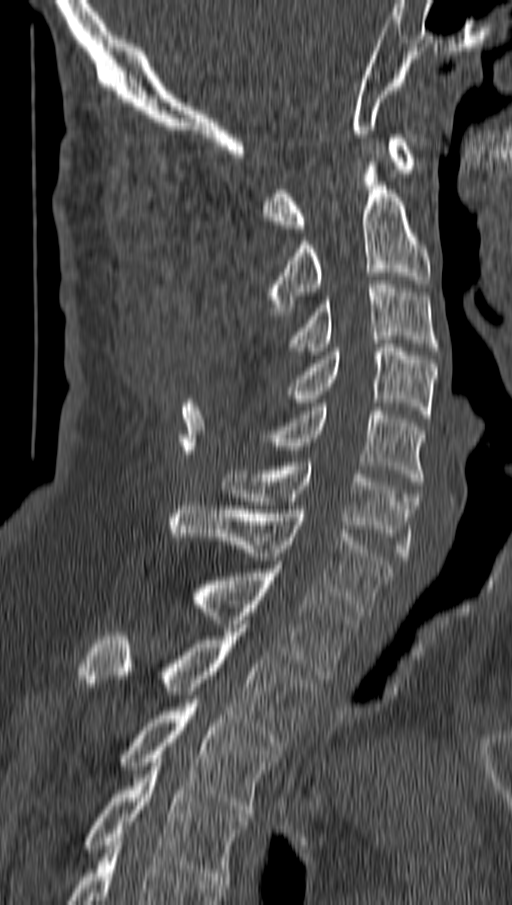
CT; sagittal reformat; bone window
Boxes are given in columns x1, y1, x2, y2, the pixel coordinates of their top-left and bottom-right corners.
| vertebra | x1 | y1 | x2 | y2 |
|---|---|---|---|---|
| C1 | 263 | 134 | 415 | 232 |
| C2 | 267 | 158 | 430 | 315 |
| C3 | 287 | 280 | 437 | 355 |
| C4 | 292 | 344 | 436 | 422 |
| C5 | 260 | 407 | 424 | 485 |
| C6 | 222 | 462 | 417 | 560 |
| C7 | 169 | 502 | 392 | 615 |
| T1 | 194 | 565 | 354 | 679 |
| T2 | 80 | 628 | 319 | 750 |
| T3 | 121 | 699 | 278 | 817 |
| T4 | 86 | 762 | 247 | 884 |